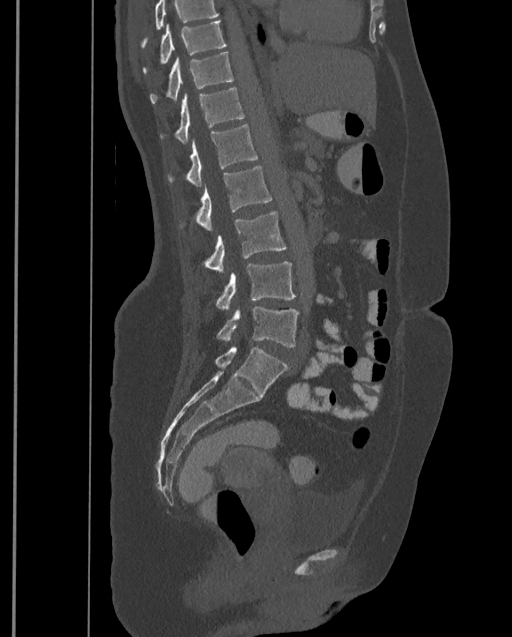
CT, spine; image width 399 mm; sagittal view. Boxes: x1:y1:x2:y2 in pixels.
No box is given to a vertebra that the top edge of the scan cuts off.
In this scan, the topmost labeled vertebra is T9 and the lowest is L4.
Vertebra bounding boxes:
- L4: 217:306:298:347
- L3: 215:262:295:310
- L2: 204:211:286:273
- L1: 196:166:272:231
- T12: 168:125:258:186
- T11: 160:87:244:143
- T10: 150:51:232:103
- T9: 143:21:226:73